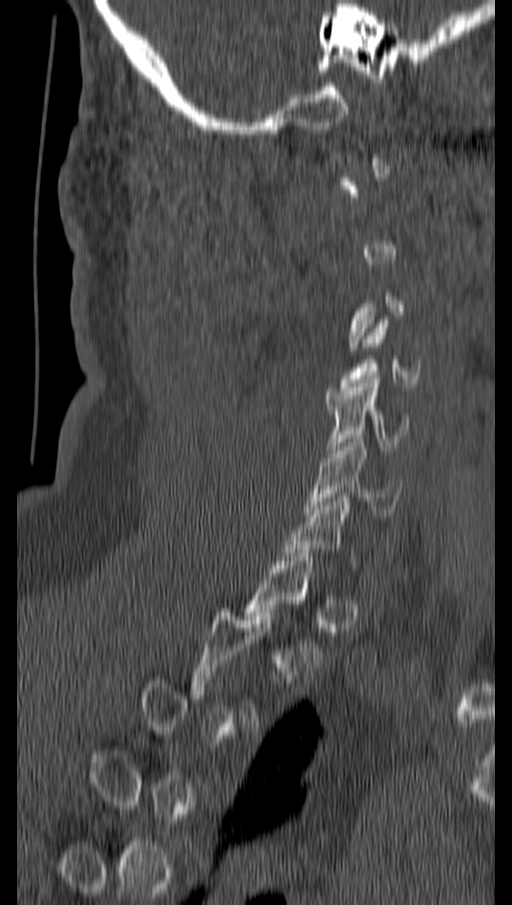
CT. sagittal view. 162 mm image width. Bone window (WL 400, WW 1800)
Box edges are left/top/right/bottom in pixels. A vertebra is boxed only from the first to the last slice where its cross-section is at least a third of its largest; slices outside that range leave it without a box. 4 vertebrae labeled — C4 at left=339, top=320, right=420, bottom=390; C5 at left=327, top=379, right=407, bottom=453; C6 at left=305, top=435, right=402, bottom=513; T1 at left=244, top=553, right=322, bottom=667.